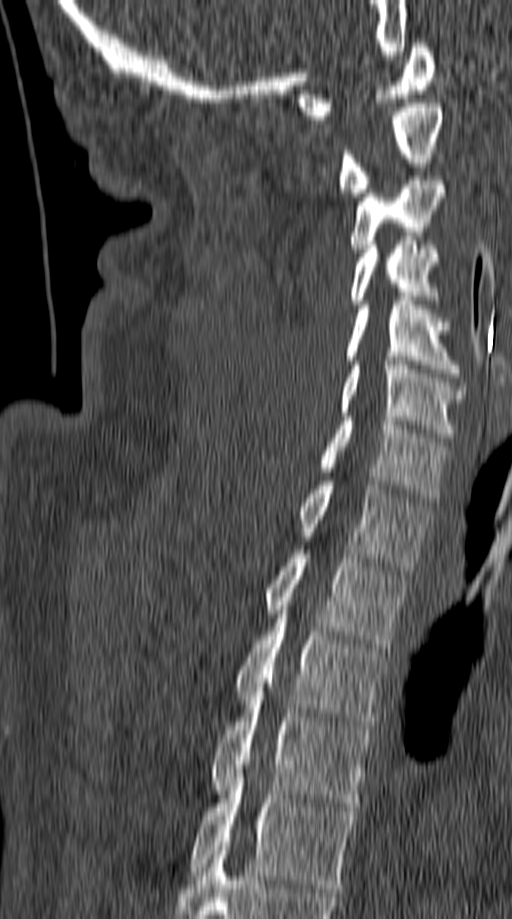
Spine computed tomography; sagittal view; W/L 1800/400 HU

Bounding boxes as [x1, y1, x2, y2] in pixel coordinates.
C1: [296, 43, 436, 119]
C2: [338, 103, 443, 197]
C3: [350, 176, 444, 252]
C4: [350, 241, 440, 304]
C5: [346, 296, 460, 377]
C6: [338, 361, 465, 437]
C7: [320, 417, 450, 502]
T1: [297, 481, 430, 570]
T2: [262, 550, 406, 648]
T3: [235, 597, 385, 729]
T4: [211, 683, 375, 807]
T5: [187, 769, 358, 892]